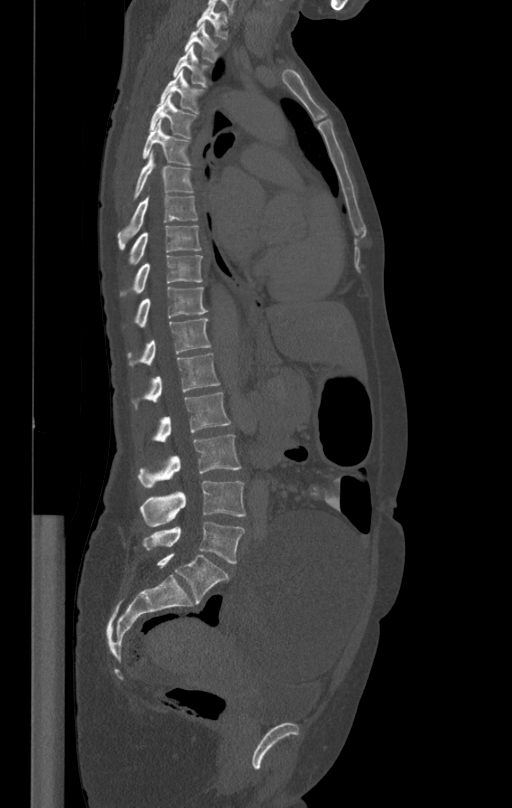

CT spine. sagittal reformat. 512x808 px
Each box given as x1,y1,x2,y2.
Vertebra bounding boxes:
- T1: x1=196, y1=4, x2=228, y2=38
- T2: x1=185, y1=23, x2=220, y2=62
- T3: x1=173, y1=47, x2=210, y2=87
- T4: x1=159, y1=70, x2=204, y2=113
- T5: x1=150, y1=94, x2=196, y2=138
- T6: x1=142, y1=122, x2=195, y2=166
- T7: x1=132, y1=152, x2=194, y2=200
- T8: x1=117, y1=195, x2=198, y2=248
- T9: x1=128, y1=225, x2=201, y2=267
- T10: x1=120, y1=255, x2=203, y2=297
- T11: x1=134, y1=286, x2=208, y2=327
- T12: x1=128, y1=318, x2=210, y2=366
- L1: x1=134, y1=352, x2=220, y2=407
- L2: x1=153, y1=393, x2=230, y2=442
- L3: x1=138, y1=435, x2=241, y2=487
- L4: x1=140, y1=481, x2=245, y2=526
- L5: x1=143, y1=521, x2=245, y2=563